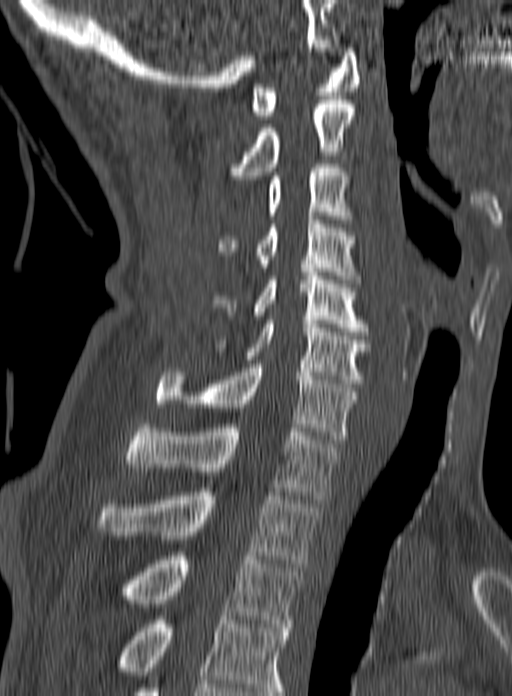 CT. sagittal view

Each box is [x1, y1, x2, y2] in pixels: top-left corner, then bottom-right corner.
This scan's labels start at C1 at the top and end at T3 at the bottom.
{"vertebrae":{"C1":[251,48,360,119],"C2":[228,100,355,179],"C3":[267,164,351,223],"C4":[218,212,359,287],"C5":[213,272,368,335],"C6":[213,320,370,383],"C7":[155,364,357,443],"T1":[126,420,339,499],"T2":[97,488,317,567],"T3":[120,552,301,627]}}